CT · sagittal view · 512x642 px · scan covers 8 annotated vertebrae
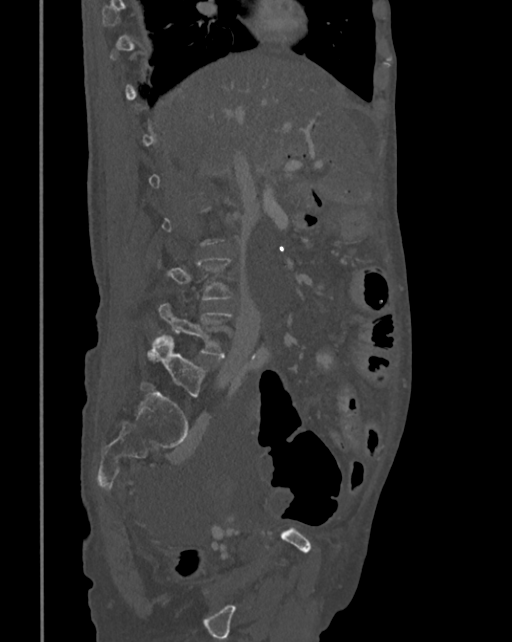 Bounding boxes as [x1, y1, x2, y2] in pixel coordinates.
Each vertebra is boxed only on the slices from the first to the last where its cross-section reaches a third of its largest, so a slice outside that range leaves it unboxed.
L4: [146, 303, 232, 355]
L5: [149, 335, 204, 396]